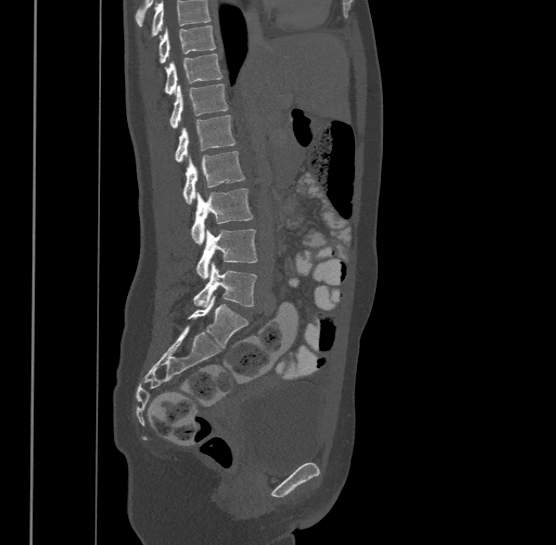
CT spine. sagittal view. bone window. 500 mm across the image
Box values are [left, top, right, bottom] in pixels.
A vertebra cut off by the top edge of the scan is not labeled and has no box.
The highest labeled vertebra in this scan is T9; the lowest is L4.
{"vertebrae":{"T9":[158,25,216,63],"T10":[164,53,223,93],"T11":[170,83,228,127],"T12":[175,114,234,161],"L1":[183,151,244,203],"L2":[191,188,252,243],"L3":[196,228,258,278],"L4":[193,261,257,307]}}